CT; sagittal reformat; a portion of the image is blanked out (constant pixel value)
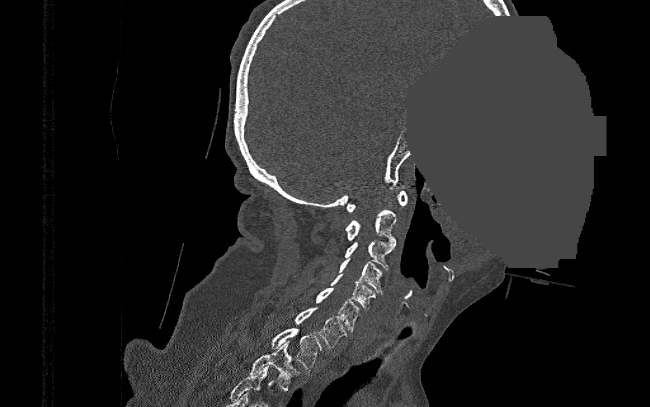
Each box given as x1,y1,x2,y2.
| vertebra | x1 | y1 | x2 | y2 |
|---|---|---|---|---|
| T2 | 250 | 341 | 299 | 390 |
| T1 | 272 | 328 | 323 | 371 |
| C7 | 295 | 306 | 347 | 347 |
| C6 | 315 | 288 | 361 | 331 |
| C5 | 330 | 274 | 375 | 310 |
| C4 | 338 | 259 | 382 | 294 |
| C3 | 345 | 240 | 395 | 269 |
| C2 | 345 | 210 | 395 | 243 |
| C1 | 347 | 189 | 407 | 213 |